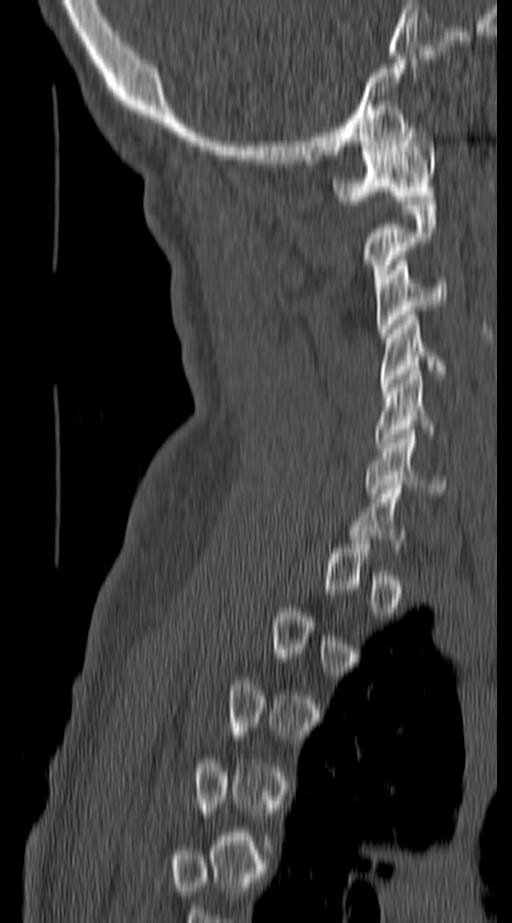

Computed tomography of the spine; sagittal view; the image spans 140 mm across; bone window; 512x923 px. Each box given as x1,y1,x2,y2.
Each vertebra is boxed only on the slices from the first to the last where its cross-section reaches a third of its largest, so a slice outside that range leaves it unboxed.
| vertebra | x1 | y1 | x2 | y2 |
|---|---|---|---|---|
| C1 | 330 | 123 | 436 | 205 |
| C2 | 363 | 201 | 436 | 287 |
| C3 | 374 | 256 | 447 | 337 |
| C4 | 378 | 311 | 447 | 388 |
| C5 | 373 | 370 | 440 | 452 |
| C6 | 365 | 430 | 446 | 493 |